Computed tomography of the spine; sagittal reformat; 12 vertebrae labeled in this scan
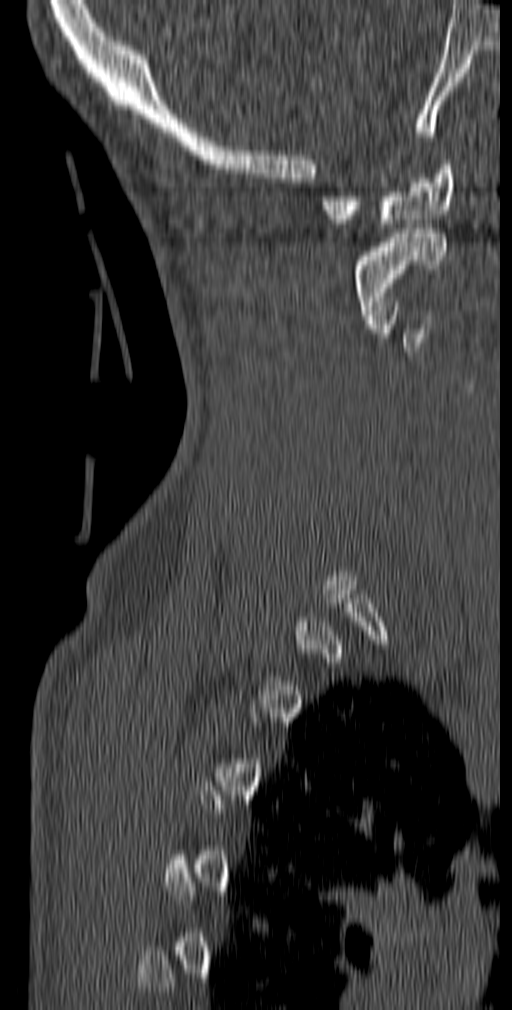

Bounding boxes as [x1, y1, x2, y2] in pixel coordinates.
Each vertebra is boxed only on the slices from the first to the last where its cross-section reaches a third of its largest, so a slice outside that range leaves it unboxed.
C1: [322, 160, 454, 228]
C2: [352, 229, 446, 319]